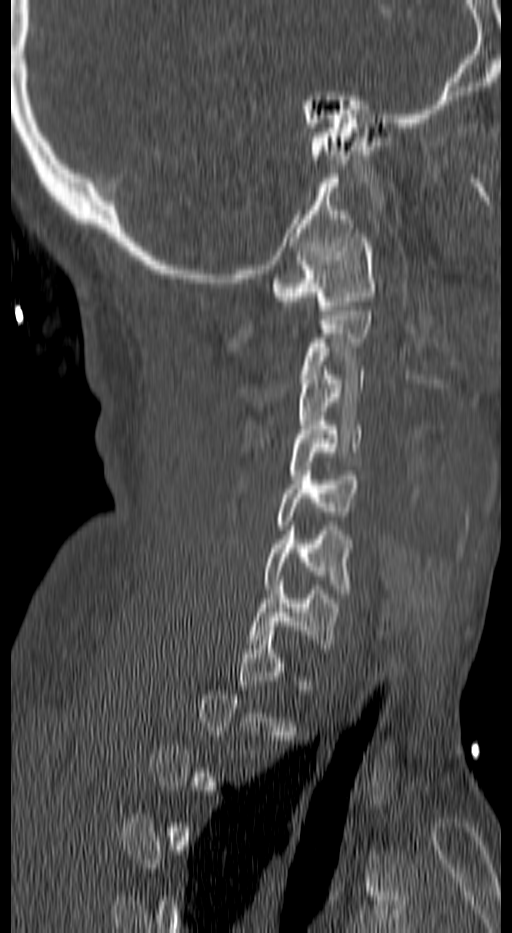 Computed tomography of the spine. sagittal view. W/L 1800/400 HU. 512x933 px

Each vertebra is boxed only on the slices from the first to the last where its cross-section reaches a third of its largest, so a slice outside that range leaves it unboxed.
<vertebrae><v name="C7" x1="250" y1="581" x2="340" y2="648"/><v name="C6" x1="265" y1="526" x2="351" y2="593"/><v name="C5" x1="276" y1="471" x2="359" y2="529"/><v name="C4" x1="290" y1="421" x2="362" y2="479"/><v name="C3" x1="298" y1="366" x2="362" y2="438"/><v name="C1" x1="272" y1="233" x2="373" y2="314"/></vertebrae>